Spine CT. the image spans 153 mm across. sagittal plane, index 326
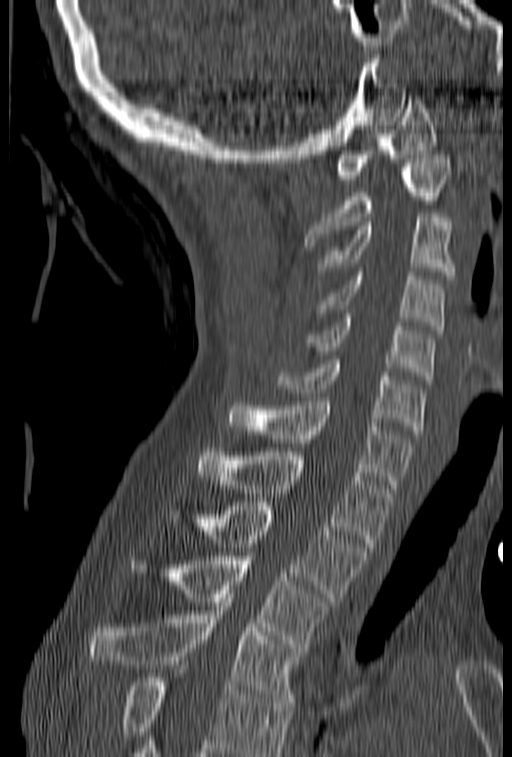 Boxes: x1:y1:x2:y2 in pixels. Where the bottom of the scan cuts through a vertebra, that vertebra gets no label or box. Vertebrae labeled: T4 at 88:598:298:706, T3 at 130:552:331:652, T2 at 170:502:368:601, T1 at 198:448:392:547, C7 at 225:397:415:488, C6 at 276:360:425:434, C5 at 305:314:435:380, C4 at 316:272:445:334, C3 at 318:213:455:279, C2 at 304:155:452:246, C1 at 336:96:437:179.